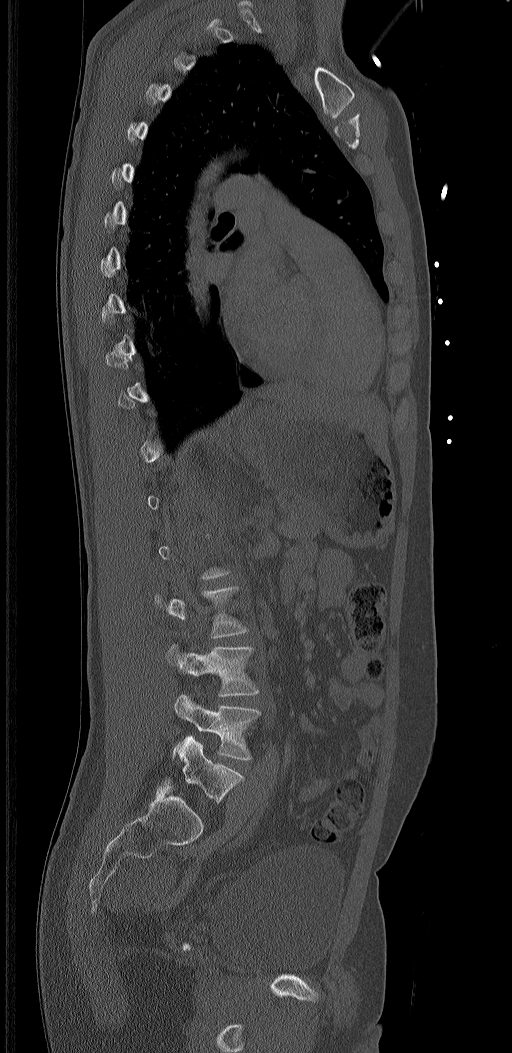 CT, spine. sagittal reformat

Each row gives a vertebra's box as x1, y1, x2, y2 in pixels: top-left corner, then bottom-right corner.
Not every vertebra on this slice has a box: a vertebra is boxed only from the first to the last slice where its cross-section is at least a third of its largest, and this slice is outside that range for at least one of them.
These labels give the spine a sixth lumbar vertebra, L6, below L5.
| vertebra | x1 | y1 | x2 | y2 |
|---|---|---|---|---|
| L3 | 154 | 586 | 249 | 638 |
| L4 | 165 | 644 | 259 | 697 |
| L5 | 173 | 695 | 260 | 759 |
| L6 | 156 | 736 | 244 | 803 |